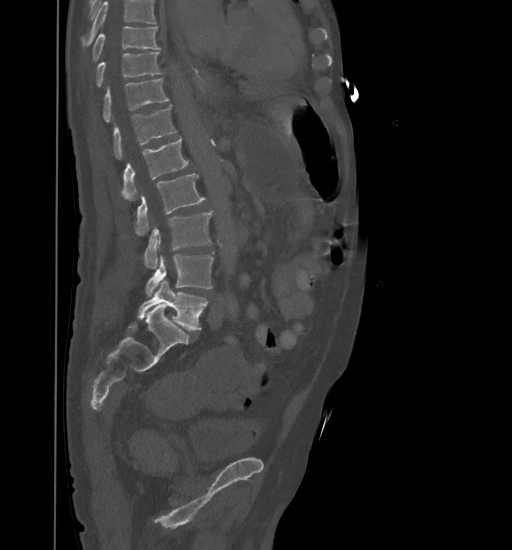 CT. sagittal view. Bone window (WL 400, WW 1800). 512x550 px
Vertebrae that run past the top of the scan are left unlabeled.
<vertebrae><v name="T9" x1="92" y1="27" x2="160" y2="61"/><v name="T10" x1="95" y1="52" x2="161" y2="87"/><v name="T11" x1="103" y1="78" x2="168" y2="122"/><v name="T12" x1="113" y1="105" x2="177" y2="159"/><v name="L1" x1="122" y1="138" x2="189" y2="200"/><v name="L2" x1="134" y1="173" x2="206" y2="235"/><v name="L3" x1="143" y1="211" x2="213" y2="268"/><v name="L4" x1="145" y1="253" x2="214" y2="296"/><v name="L5" x1="137" y1="280" x2="208" y2="330"/></vertebrae>